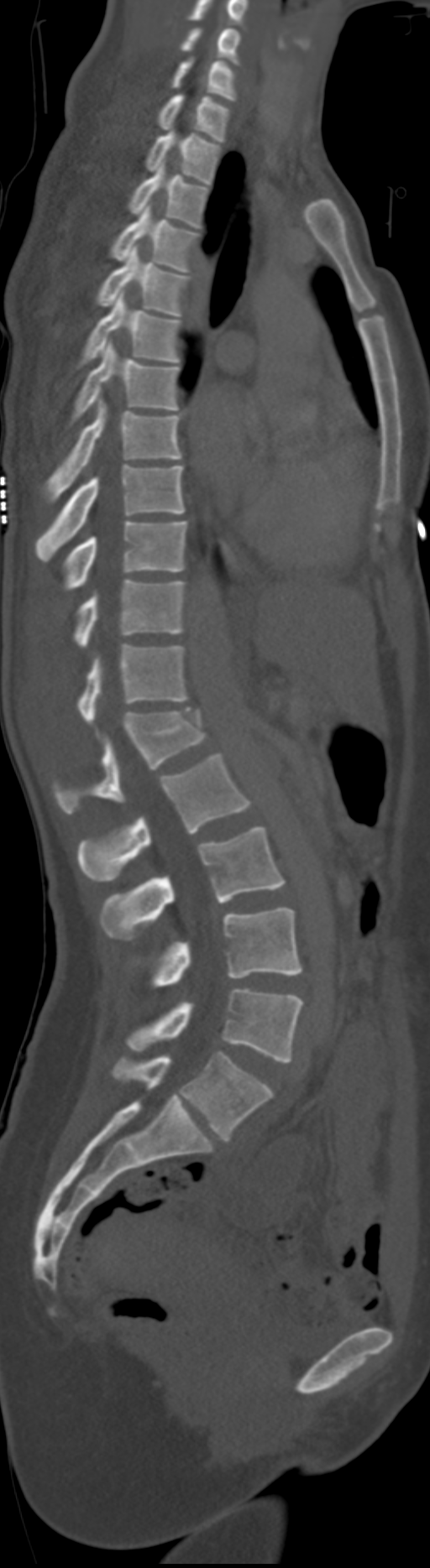 Spine computed tomography; sagittal view; bone-window reconstruction; 192 mm image width
The highest labeled vertebra in this scan is C5; the lowest is L6.
The labels name a sixth lumbar vertebra for this spine: L6, after L5. In these labels the spine has no T12: the thoracic vertebrae end at T11, and L1 comes next.
<vertebrae><v name="C5" x1="181" y1="28" x2="240" y2="65"/><v name="C6" x1="171" y1="56" x2="235" y2="101"/><v name="C7" x1="158" y1="95" x2="231" y2="141"/><v name="T1" x1="146" y1="130" x2="222" y2="184"/><v name="T2" x1="128" y1="161" x2="208" y2="228"/><v name="T3" x1="110" y1="206" x2="199" y2="272"/><v name="T4" x1="97" y1="246" x2="191" y2="315"/><v name="T5" x1="78" y1="291" x2="181" y2="367"/><v name="T6" x1="71" y1="340" x2="179" y2="423"/><v name="T7" x1="41" y1="399" x2="181" y2="503"/><v name="T8" x1="34" y1="466" x2="184" y2="561"/><v name="T9" x1="61" y1="519" x2="188" y2="591"/><v name="T10" x1="72" y1="580" x2="186" y2="649"/><v name="T11" x1="77" y1="645" x2="188" y2="725"/><v name="L1" x1="55" y1="707" x2="208" y2="814"/><v name="L2" x1="77" y1="753" x2="253" y2="881"/><v name="L3" x1="99" y1="826" x2="285" y2="940"/><v name="L4" x1="153" y1="907" x2="302" y2="987"/><v name="L5" x1="126" y1="989" x2="302" y2="1062"/><v name="L6" x1="113" y1="1052" x2="273" y2="1138"/></vertebrae>